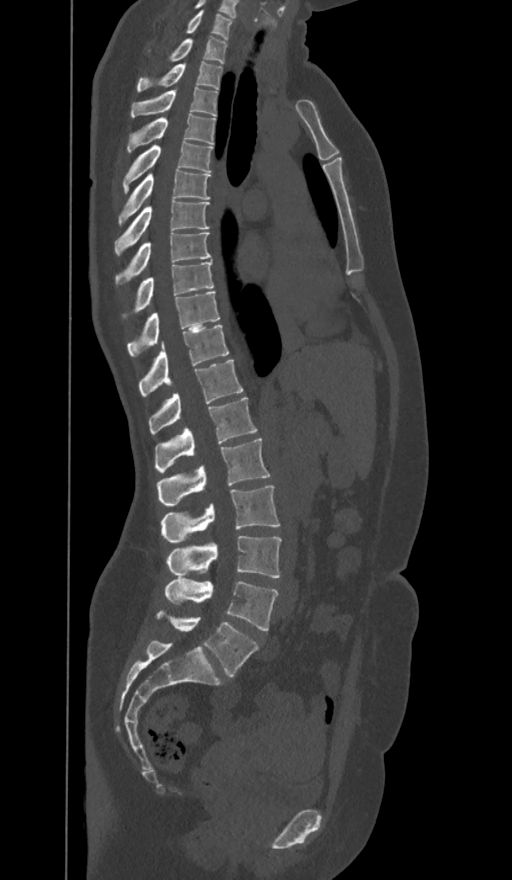
CT, spine · sagittal reformat · 512x880 px
Coordinates as <box>x1,y1,x2,y2</box>.
In these labels the spine has an L6, a sixth lumbar vertebra below L5.
Vertebra bounding boxes:
- C7: <box>186,11,232,38</box>
- T1: <box>171,37,226,63</box>
- T2: <box>137,62,222,90</box>
- T3: <box>131,87,216,117</box>
- T4: <box>127,113,215,152</box>
- T5: <box>123,140,212,192</box>
- T6: <box>118,169,210,226</box>
- T7: <box>115,201,208,253</box>
- T8: <box>116,233,211,282</box>
- T9: <box>135,262,214,311</box>
- T10: <box>127,291,219,356</box>
- T11: <box>139,325,229,396</box>
- T12: <box>149,360,242,434</box>
- L1: <box>155,397,256,472</box>
- L2: <box>157,439,270,507</box>
- L3: <box>161,485,279,542</box>
- L4: <box>167,536,281,578</box>
- L5: <box>165,579,278,630</box>
- L6: <box>156,610,258,677</box>